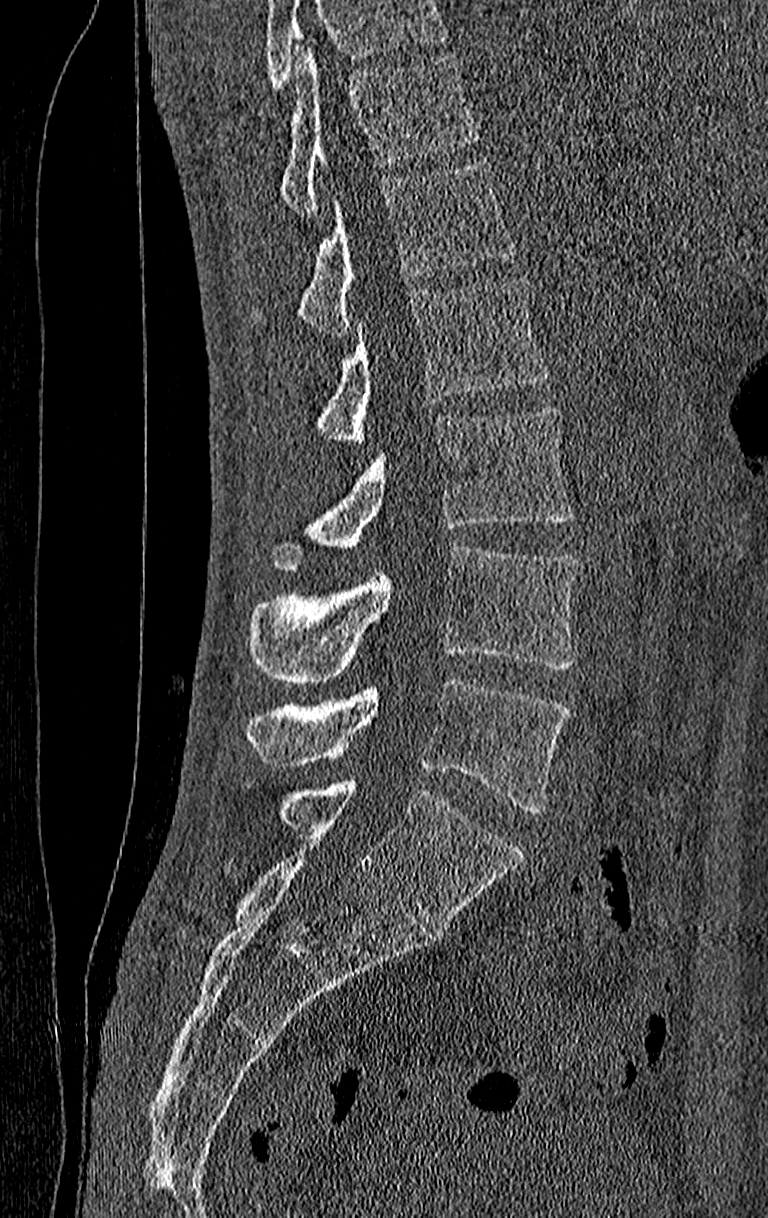 Spine computed tomography — sagittal view — 768x1218 px
Each box given as x1,y1,x2,y2. Vertebrae that run past the top of the scan are left unlabeled. In this scan, the topmost labeled vertebra is T11 and the lowest is L4. The labeled vertebrae in this slice are: T11 at x1=280, y1=48, x2=477, y2=216, T12 at x1=251, y1=161, x2=521, y2=336, L1 at x1=317, y1=275, x2=550, y2=447, L2 at x1=273, y1=406, x2=572, y2=570, L3 at x1=251, y1=546, x2=579, y2=684, L4 at x1=247, y1=678, x2=568, y2=812.